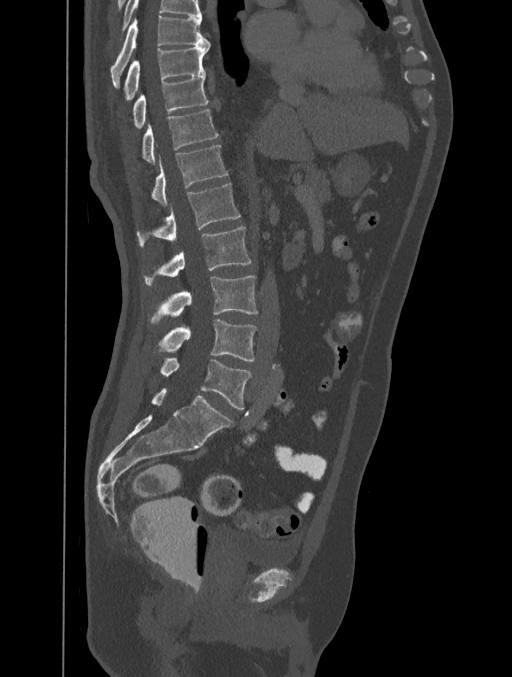 CT, spine; 401 mm wide; sagittal view; 512x677 px
Each box given as x1,y1,x2,y2. In this scan, the topmost labeled vertebra is T8 and the lowest is L5. Vertebrae labeled: T8 at x1=111, y1=15, x2=210, y2=87, T9 at x1=125, y1=45, x2=210, y2=100, T10 at x1=133, y1=75, x2=208, y2=128, T11 at x1=143, y1=109, x2=218, y2=162, T12 at x1=152, y1=145, x2=227, y2=206, L1 at x1=136, y1=183, x2=240, y2=244, L2 at x1=144, y1=226, x2=250, y2=285, L3 at x1=152, y1=276, x2=258, y2=321, L4 at x1=158, y1=319, x2=257, y2=361, L5 at x1=161, y1=357, x2=252, y2=409.